CT, spine; sagittal reformat; image 160 mm wide; bone-window reconstruction
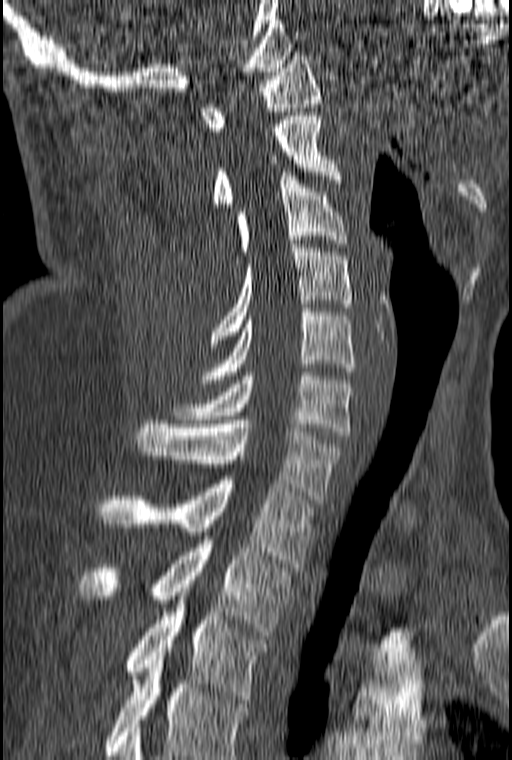

Boxes are (x1, y1, x2, y2) in pixels.
In this scan, the topmost labeled vertebra is C1 and the lowest is T3.
Vertebra bounding boxes:
- T3: (123, 584, 266, 703)
- T2: (78, 536, 291, 635)
- T1: (97, 476, 314, 567)
- C7: (135, 420, 343, 503)
- C6: (172, 372, 352, 435)
- C5: (202, 308, 355, 383)
- C4: (212, 244, 352, 343)
- C3: (237, 172, 347, 255)
- C2: (211, 112, 341, 207)
- C1: (200, 52, 322, 135)